Computed tomography of the spine · sagittal plane, index 225 · bone-window reconstruction · 824x928 px
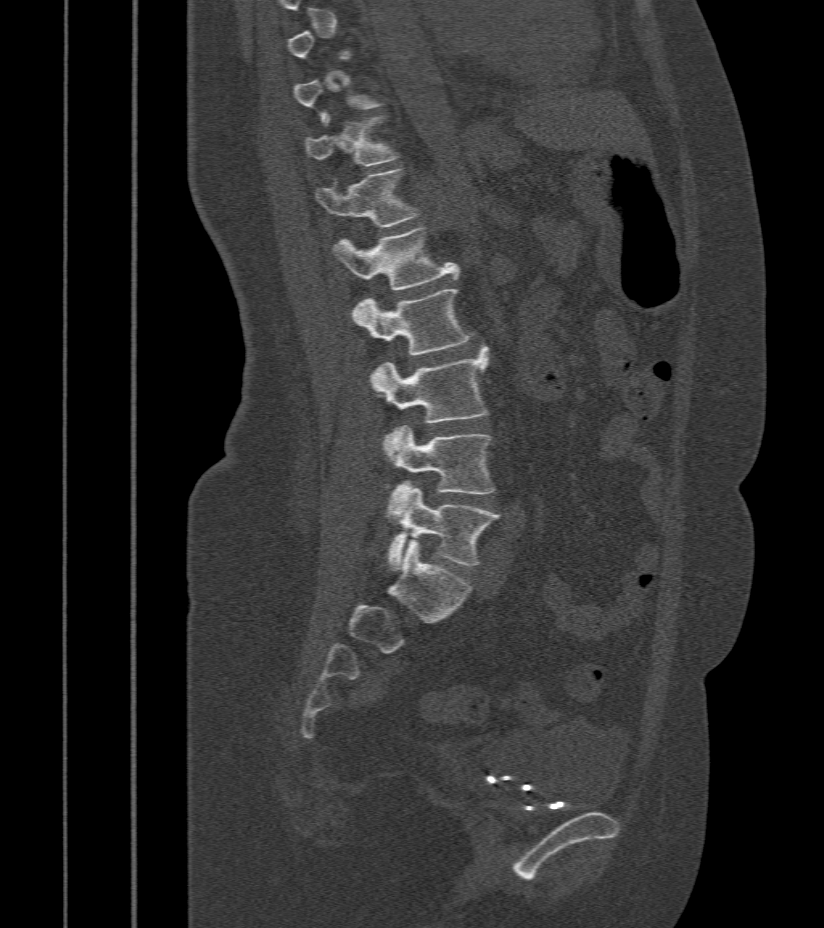

Box edges are left/top/right/bottom in pixels. Not every vertebra on this slice has a box: a vertebra is boxed only from the first to the last slice where its cross-section is at least a third of its largest, and this slice is outside that range for at least one of them. The labeled vertebrae in this slice are: T11 at left=304, top=117, right=398, bottom=166, T12 at left=315, top=169, right=419, bottom=228, L1 at left=332, top=227, right=459, bottom=290, L2 at left=352, top=289, right=472, bottom=356, L3 at left=370, top=347, right=488, bottom=454, L4 at left=388, top=425, right=495, bottom=494, L5 at left=388, top=484, right=500, bottom=568.